CT spine · sagittal plane, index 111 · Bone window (WL 400, WW 1800)
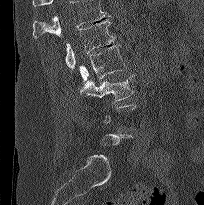
Bounding boxes as [x1, y1, x2, y2] in pixel coordinates.
Not every vertebra on this slice has a box: a vertebra is boxed only from the first to the last slice where its cross-section is at least a third of its largest, and this slice is outside that range for at least one of them.
A vertebra cut off by the top edge of the scan is not labeled and has no box.
L1: [65, 19, 116, 69]
L2: [79, 44, 126, 85]
L3: [80, 74, 134, 104]